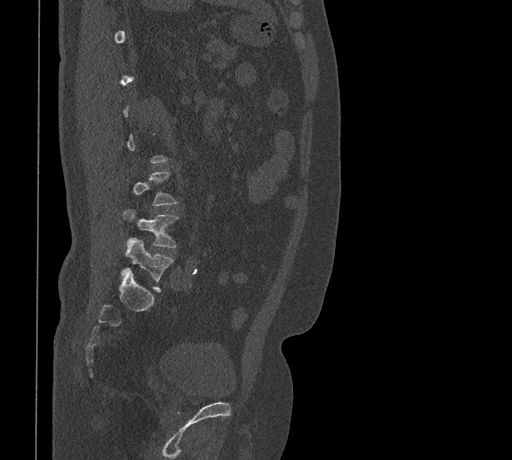

Spine CT · sagittal view · bone window · 512x460 px
Each box given as x1,y1,x2,y2.
A vertebra gets a box only on the slices from the first to the last where its cross-section is at least a third of its largest; on a slice outside that range it gets none.
| vertebra | x1 | y1 | x2 | y2 |
|---|---|---|---|---|
| L3 | 134 | 171 | 179 | 206 |
| L4 | 123 | 209 | 179 | 247 |
| L5 | 121 | 238 | 173 | 290 |